CT spine · 322 mm across the image · sagittal plane, index 78
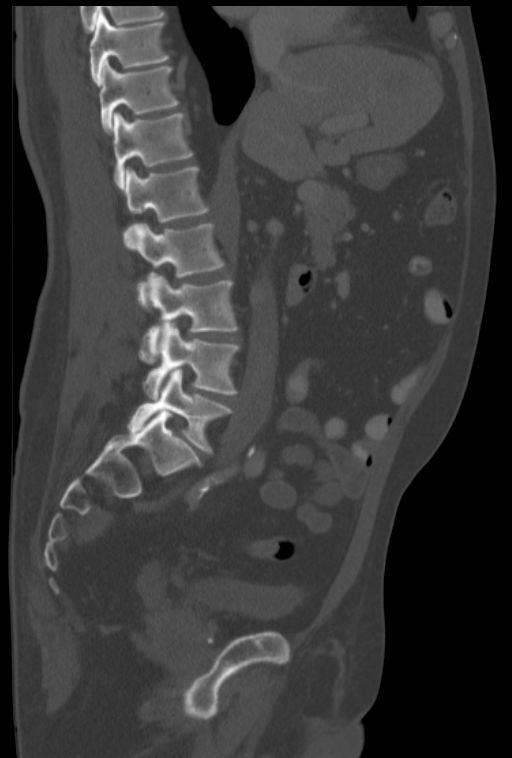
Boxes are (x1, y1, x2, y2) in pixels.
Vertebra bounding boxes:
- T10: (89, 13, 169, 87)
- T11: (99, 61, 179, 134)
- T12: (113, 113, 193, 189)
- L1: (124, 167, 209, 247)
- L2: (129, 223, 223, 308)
- L3: (140, 274, 238, 363)
- L4: (143, 323, 239, 398)
- L5: (129, 369, 233, 454)